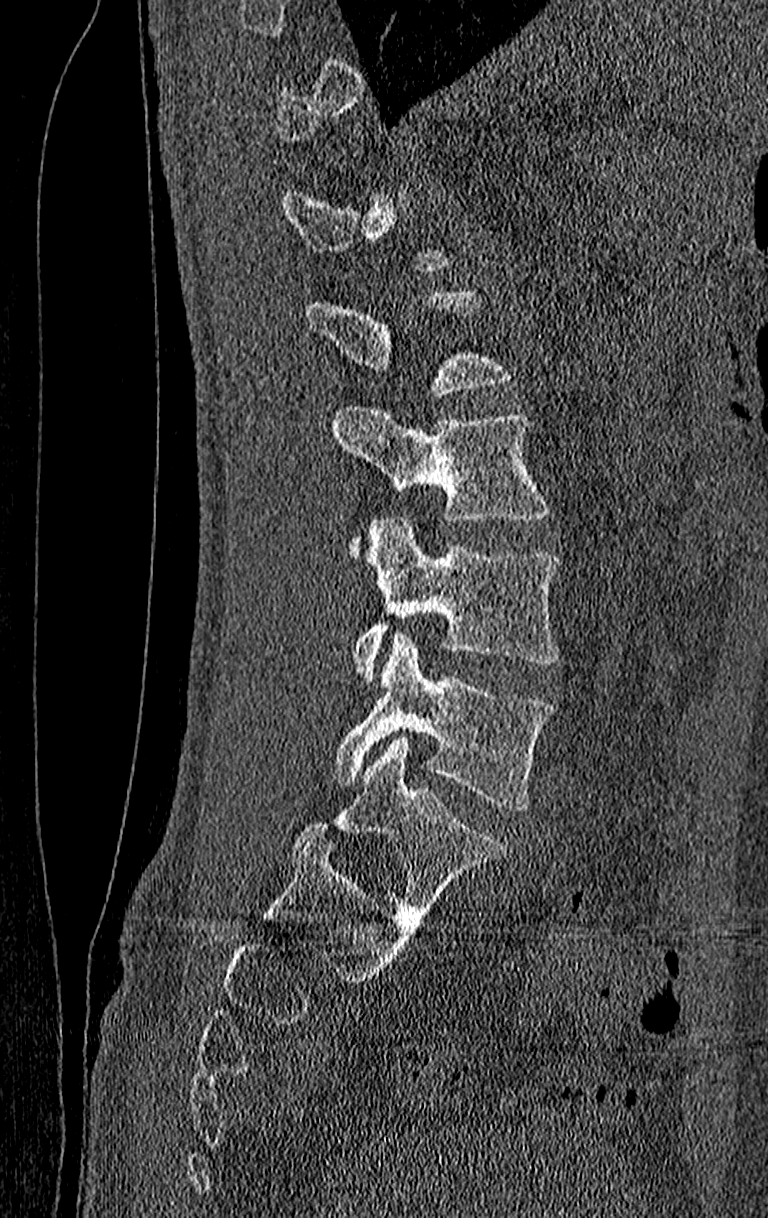

CT, spine. sagittal view

Each vertebra maps to its box as [x1, y1, x2, y2], the pixel coordinates of its top-left and bottom-right corners.
Not every vertebra on this slice has a box: a vertebra is boxed only from the first to the last slice where its cross-section is at least a third of its largest, and this slice is outside that range for at least one of them.
Labels in this scan begin with T11 at the top and end with L4 at the bottom.
{"vertebrae":{"L1":[306,286,513,396],"L2":[331,406,554,560],"L3":[353,517,557,680],"L4":[331,634,557,812]}}